Spine computed tomography · sagittal view · bone window · image 409 mm wide
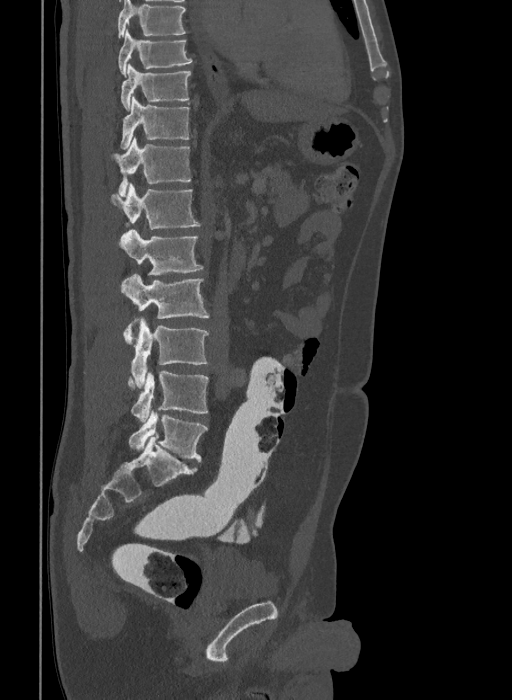 Boxes are (x1, y1, x2, y2) in pixels. This scan's labels start at T9 at the top and end at L6 at the bottom. The labels name a sixth lumbar vertebra for this spine: L6, after L5. The labeled vertebrae in this slice are: T9 at (118, 29, 192, 77), T10 at (121, 64, 190, 111), T11 at (120, 97, 189, 149), T12 at (110, 136, 190, 196), L1 at (111, 183, 200, 229), L2 at (118, 229, 203, 274), L3 at (120, 274, 209, 318), L4 at (123, 318, 209, 388), L5 at (127, 371, 208, 421), L6 at (128, 410, 207, 461).